Spine computed tomography. sagittal plane, index 319. the image spans 187 mm across
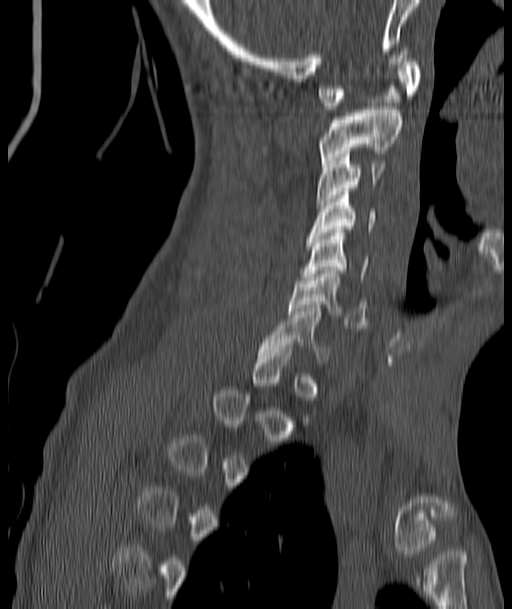 Boxes below are [x1, y1, x2, y2] in pixels.
Not every vertebra on this slice has a box: a vertebra is boxed only from the first to the last slice where its cross-section is at least a third of its largest, and this slice is outside that range for at least one of them.
{"vertebrae":{"C1":[318,55,419,109],"C2":[318,106,402,163],"C3":[316,151,386,204],"C4":[307,192,375,239],"C5":[302,229,367,280],"C6":[288,270,367,328],"C7":[261,308,331,365]}}